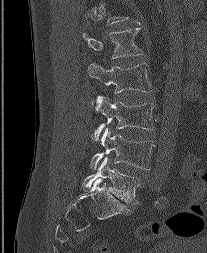

CT. sagittal reformat. Bone window (WL 400, WW 1800). 207x253 px. 207 mm across the image

Bounding boxes as [x1, y1, x2, y2] in pixel coordinates.
In this scan, the topmost labeled vertebra is L1 and the lowest is L5.
Vertebra bounding boxes:
- L1: [83, 28, 142, 57]
- L2: [87, 63, 151, 92]
- L3: [93, 96, 154, 140]
- L4: [90, 127, 155, 170]
- L5: [84, 156, 139, 203]